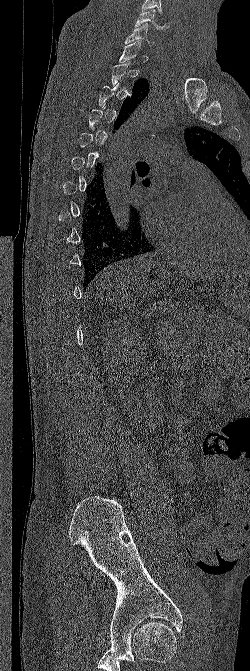
Computed tomography of the spine; sagittal view

Boxes: x1:y1:x2:y2 in pixels. Each vertebra is boxed only on the slices from the first to the last where its cross-section reaches a third of its largest, so a slice outside that range leaves it unboxed. Vertebrae labeled: C6 at 135:9:168:29, C7 at 124:23:154:45.